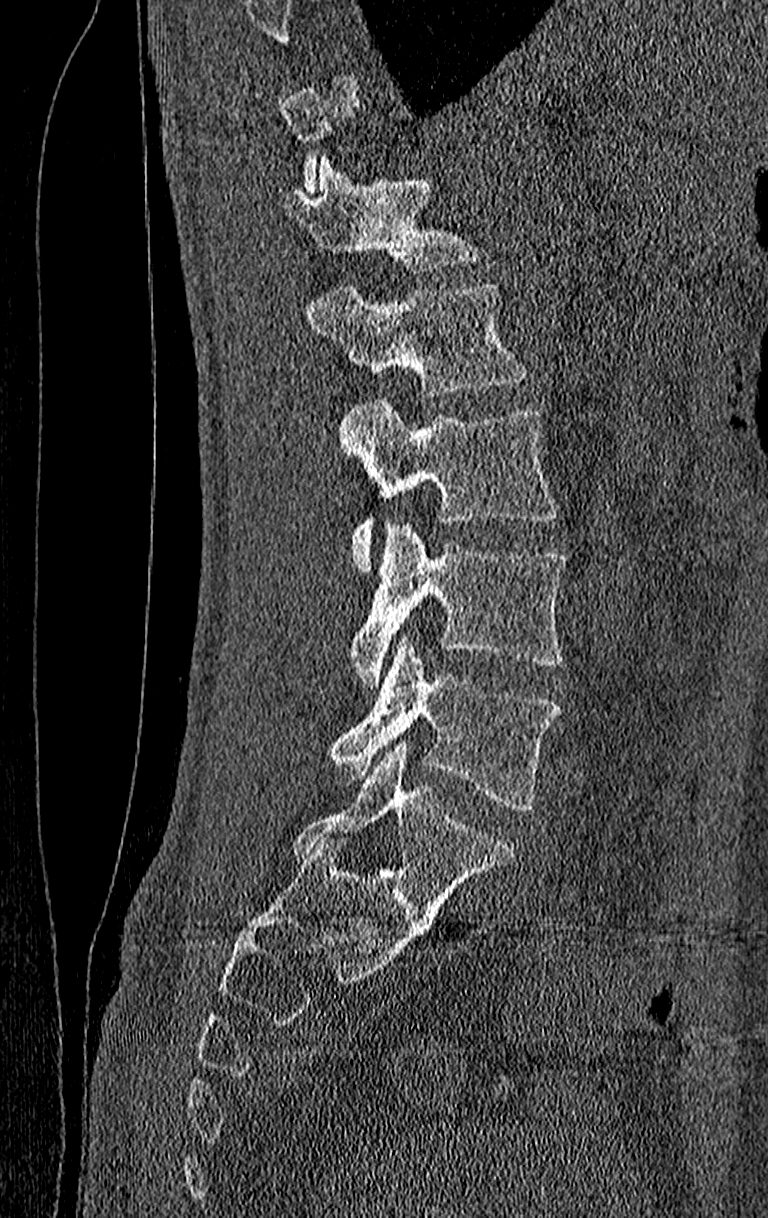 Computed tomography of the spine · sagittal view · the image is 210 mm wide · 768x1218 px
A vertebra is boxed only from the first to the last slice where its cross-section is at least a third of its largest; slices outside that range leave it without a box.
In this scan, the topmost labeled vertebra is T11 and the lowest is L4.
<vertebrae><v name="T12" x1="280" y1="158" x2="480" y2="271"/><v name="L1" x1="306" y1="283" x2="528" y2="399"/><v name="L2" x1="339" y1="400" x2="557" y2="570"/><v name="L3" x1="350" y1="523" x2="568" y2="684"/><v name="L4" x1="328" y1="637" x2="561" y2="812"/></vertebrae>